CT spine · sagittal view · W/L 1800/400 HU
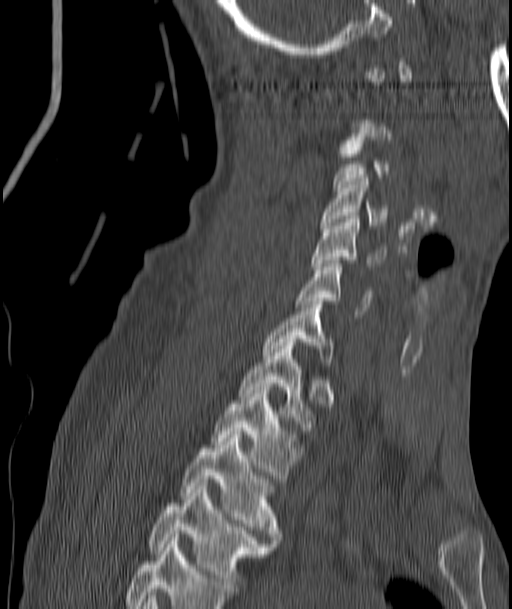 A vertebra gets a box only on the slices from the first to the last where its cross-section is at least a third of its largest; on a slice outside that range it gets none.
<vertebrae><v name="T4" x1="149" y1="486" x2="271" y2="588"/><v name="T3" x1="182" y1="431" x2="279" y2="543"/><v name="T2" x1="212" y1="387" x2="298" y2="478"/><v name="T1" x1="239" y1="339" x2="312" y2="430"/><v name="C7" x1="264" y1="301" x2="331" y2="365"/><v name="C6" x1="297" y1="260" x2="372" y2="314"/><v name="C5" x1="313" y1="216" x2="386" y2="269"/><v name="C4" x1="321" y1="178" x2="386" y2="228"/></vertebrae>